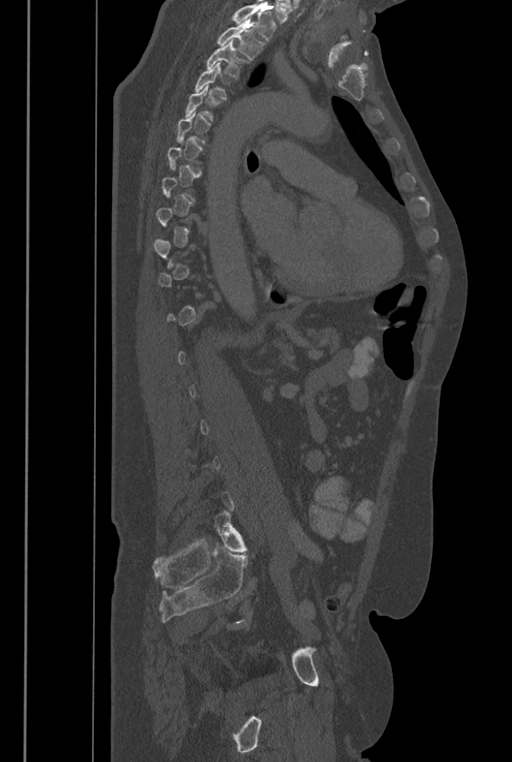 CT. sagittal reformat. Bone window (WL 400, WW 1800)

Box edges are left/top/right/bottom in pixels.
A vertebra is boxed only from the first to the last slice where its cross-section is at least a third of its largest; slices outside that range leave it without a box.
A vertebra cut off by the top edge of the scan is not labeled and has no box.
In these labels the spine has an L6, a sixth lumbar vertebra below L5.
Vertebra bounding boxes:
- T2: left=217, top=19, right=265, bottom=60
- T3: left=207, top=40, right=250, bottom=78
- T4: left=195, top=62, right=226, bottom=99
- L6: left=214, top=511, right=247, bottom=552